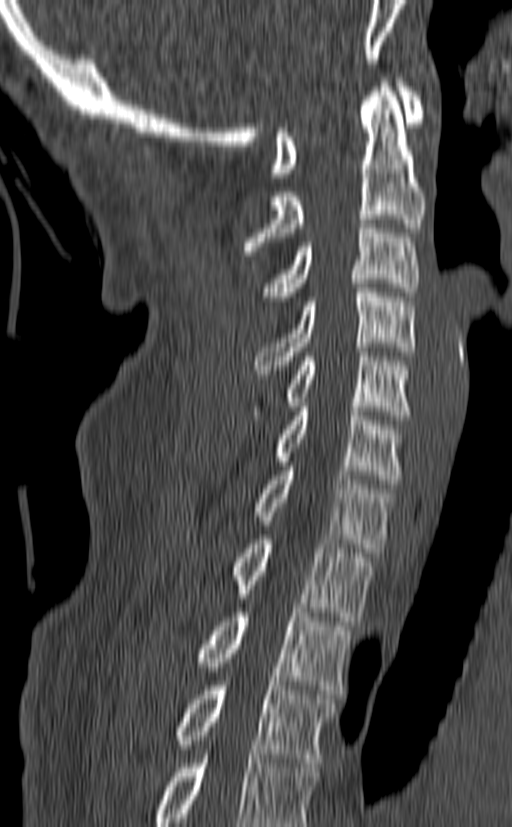 Spine CT; sagittal view; Bone window (WL 400, WW 1800); 512x827 px; the image is 140 mm wide
Boxes are (x1, y1, x2, y2) in pixels.
Labels in this scan begin with C1 at the top and end with T3 at the bottom.
T3: (177, 681, 337, 762)
T2: (197, 608, 351, 694)
T1: (232, 535, 373, 621)
C7: (254, 462, 392, 552)
C6: (274, 402, 403, 484)
C5: (249, 347, 411, 420)
C4: (254, 283, 414, 378)
C3: (261, 219, 419, 301)
C2: (243, 78, 425, 255)
C1: (271, 78, 425, 177)